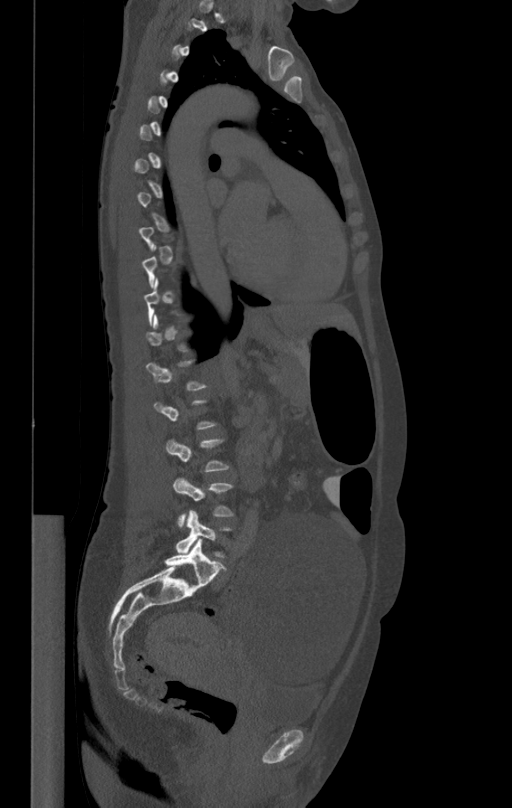
Spine CT; sagittal reformat; bone window
A vertebra gets a box only on the slices from the first to the last where its cross-section is at least a third of its largest; on a slice outside that range it gets none.
<vertebrae><v name="L5" x1="175" y1="510" x2="231" y2="558"/><v name="L4" x1="173" y1="479" x2="234" y2="527"/><v name="L3" x1="165" y1="438" x2="229" y2="471"/></vertebrae>